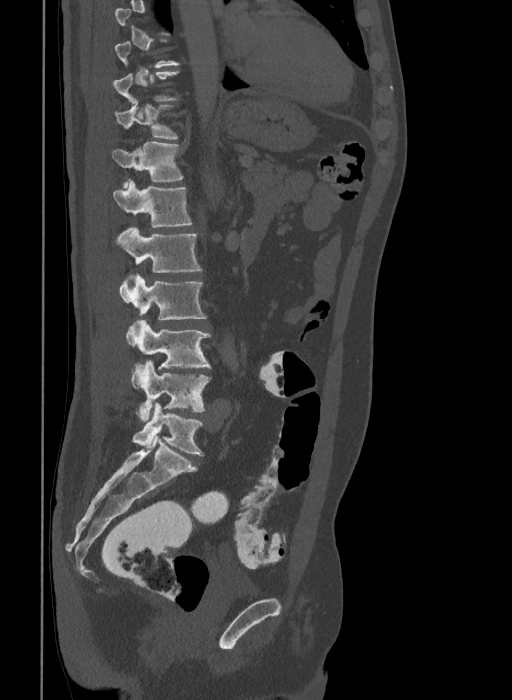
CT, spine — sagittal view — image 409 mm wide. Each box given as x1,y1,x2,y2.
Each vertebra is boxed only on the slices from the first to the last where its cross-section reaches a third of its largest, so a slice outside that range leaves it unboxed.
In these labels the spine has an L6, a sixth lumbar vertebra below L5.
T10: x1=113, y1=71, x2=178, y2=103
T11: x1=115, y1=101, x2=178, y2=139
T12: x1=112, y1=142, x2=183, y2=188
L1: x1=113, y1=179, x2=192, y2=227
L2: x1=116, y1=226, x2=202, y2=275
L3: x1=119, y1=274, x2=207, y2=320
L4: x1=126, y1=319, x2=210, y2=369
L5: x1=131, y1=361, x2=210, y2=420
L6: x1=132, y1=402, x2=203, y2=455